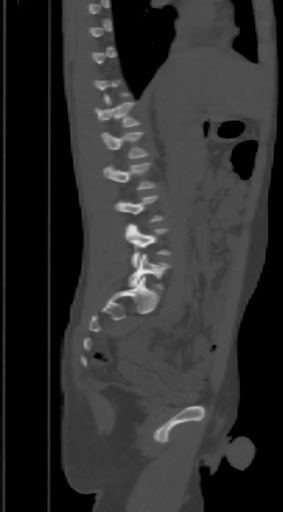
CT. sagittal view. bone window

Each row gives a vertebra's box as x1, y1, x2, y2 in pixels: top-left corner, then bottom-right corner.
Not every vertebra on this slice has a box: a vertebra is boxed only from the first to the last slice where its cross-section is at least a third of its largest, and this slice is outside that range for at least one of them.
| vertebra | x1 | y1 | x2 | y2 |
|---|---|---|---|---|
| T12 | 95 | 100 | 139 | 127 |
| L1 | 101 | 132 | 147 | 158 |
| L2 | 104 | 162 | 156 | 190 |
| L4 | 126 | 223 | 170 | 266 |
| L5 | 129 | 254 | 170 | 288 |